Computed tomography of the spine. sagittal view. 210 mm across the image. bone-window reconstruction
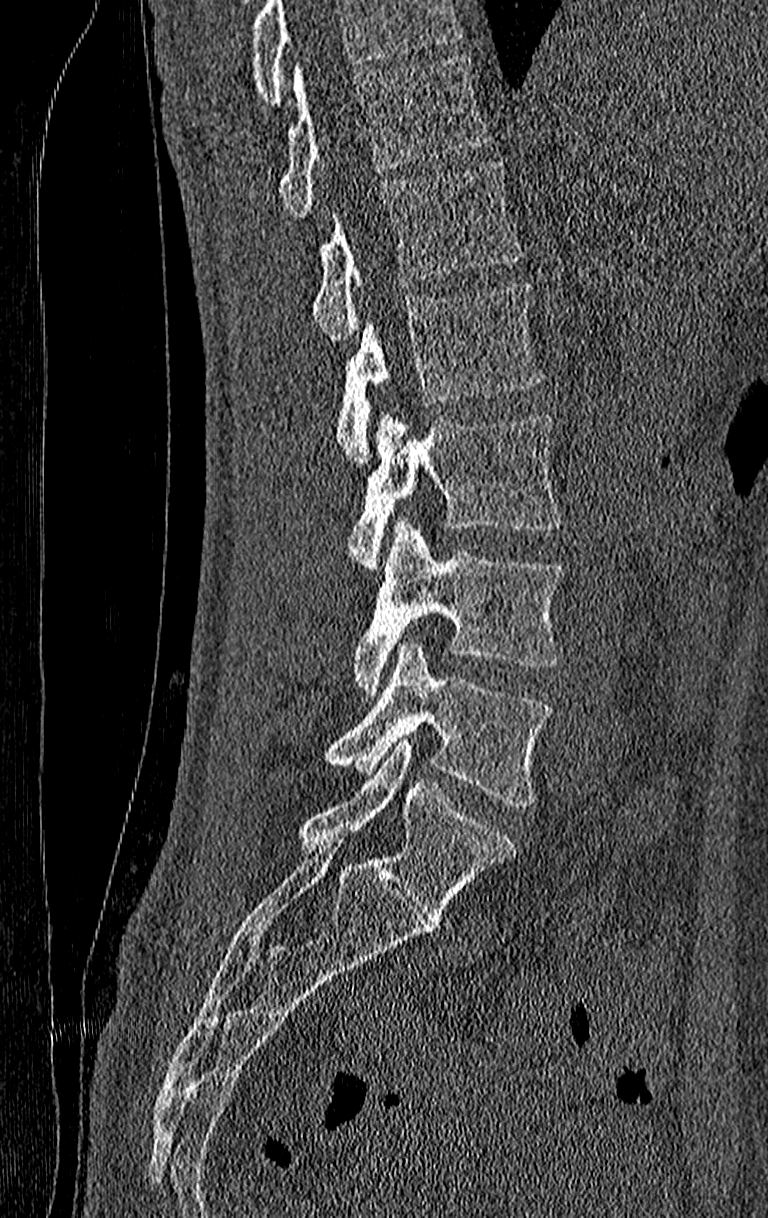 Boxes: x1 y1 x2 y2 (pixel coords, space-separated).
Where the top of the scan cuts through a vertebra, that vertebra gets no label or box.
Labels in this scan begin with T11 at the top and end with L4 at the bottom.
T11: 277 56 491 220
T12: 310 161 521 340
L1: 335 283 543 465
L2: 346 415 565 570
L3: 353 520 565 695
L4: 324 640 554 804